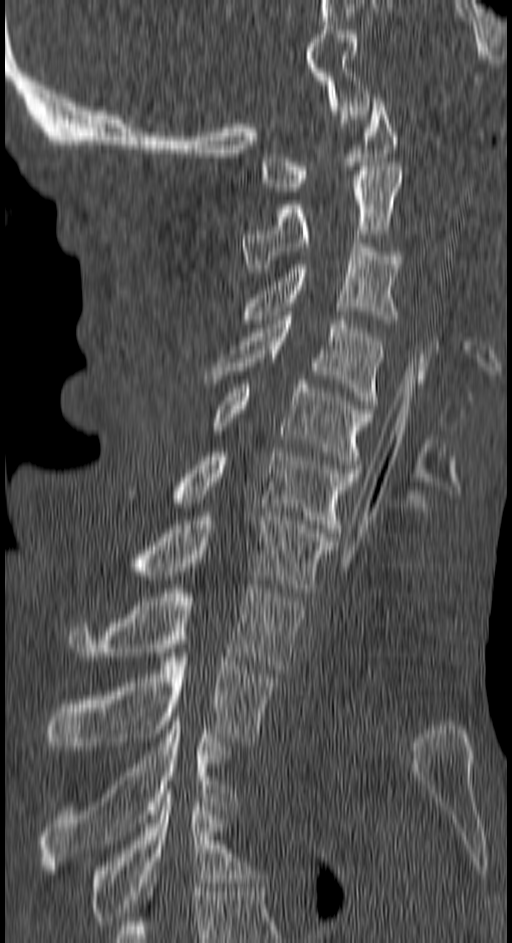 Spine CT · sagittal reformat · W/L 1800/400 HU
Coordinates as <box>x1,y1,x2,y2</box>.
T4: <box>90,789,256,925</box>
T3: <box>39,721,236,869</box>
T2: <box>46,649,277,746</box>
T1: <box>69,585,303,673</box>
C7: <box>131,512,335,596</box>
C6: <box>172,452,359,537</box>
C5: <box>213,380,373,468</box>
C4: <box>206,316,383,404</box>
C3: <box>240,243,400,323</box>
C2: <box>243,166,403,272</box>
C1: <box>261,98,396,191</box>